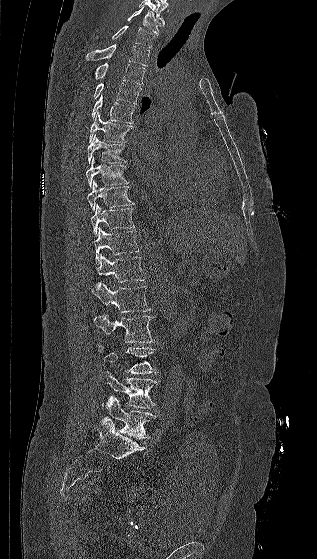 CT, spine — sagittal reformat
<vertebrae><v name="L5" x1="105" y1="396" x2="157" y2="439"/><v name="L4" x1="100" y1="371" x2="158" y2="408"/><v name="L3" x1="98" y1="345" x2="157" y2="373"/><v name="L2" x1="94" y1="313" x2="154" y2="342"/><v name="L1" x1="92" y1="283" x2="152" y2="312"/><v name="T12" x1="96" y1="254" x2="145" y2="283"/><v name="T11" x1="94" y1="227" x2="139" y2="264"/><v name="T10" x1="90" y1="204" x2="135" y2="236"/><v name="T9" x1="87" y1="180" x2="135" y2="211"/><v name="T8" x1="86" y1="157" x2="129" y2="187"/><v name="T7" x1="88" y1="134" x2="127" y2="163"/><v name="T6" x1="89" y1="112" x2="133" y2="142"/><v name="T5" x1="91" y1="95" x2="135" y2="123"/><v name="T4" x1="93" y1="83" x2="142" y2="103"/><v name="T3" x1="93" y1="62" x2="145" y2="84"/><v name="T2" x1="86" y1="44" x2="149" y2="65"/><v name="T1" x1="112" y1="25" x2="154" y2="48"/><v name="C7" x1="127" y1="6" x2="162" y2="34"/></vertebrae>